CT spine — sagittal view — 512x1305 px — a region is masked with a constant gray value
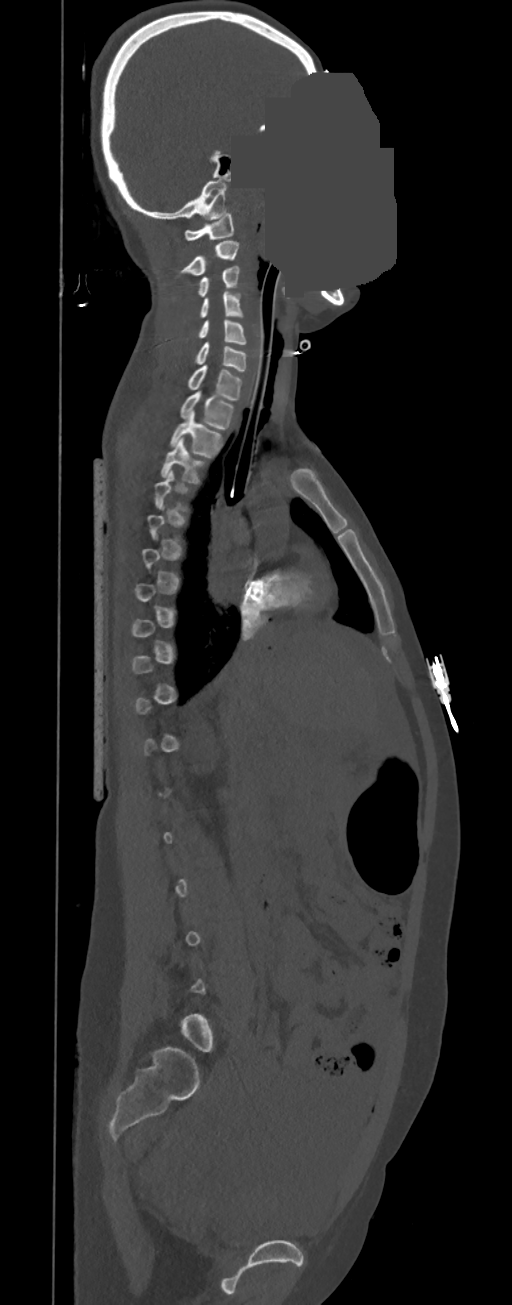
Boxes: x1 y1 x2 y2 (pixel coords, space-separated).
A vertebra gets a box only on the slices from the first to the last where its cross-section is at least a third of its largest; on a slice outside that range it gets none.
C1: 184 212 233 240
C2: 181 240 239 275
C3: 199 265 240 297
C4: 200 291 242 318
C5: 199 319 246 344
C6: 196 342 246 372
C7: 188 365 242 401
T1: 180 390 233 430
T2: 169 411 223 457
T3: 161 437 204 483